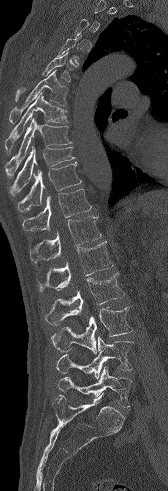 CT, spine — sagittal reformat — bone-window reconstruction. Box edges are left/top/right/bottom in pixels.
Each vertebra is boxed only on the slices from the first to the last where its cross-section reaches a third of its largest, so a slice outside that range leaves it unboxed.
T5: left=15, top=50, right=73, bottom=101
T6: left=9, top=69, right=68, bottom=123
T7: left=5, top=92, right=68, bottom=154
T8: left=5, top=118, right=71, bottom=178
T9: left=9, top=145, right=75, bottom=196
T10: left=17, top=163, right=82, bottom=211
T11: left=22, top=188, right=91, bottom=230
T12: left=30, top=215, right=101, bottom=263
L1: left=38, top=241, right=113, bottom=291
L2: left=44, top=272, right=125, bottom=325
L3: left=51, top=307, right=132, bottom=354
L4: left=56, top=337, right=133, bottom=379
L5: left=58, top=367, right=132, bottom=407